CT spine. Sagittal slice 36/82. W/L 1800/400 HU. an area of the scan was removed and filled with constant pixels
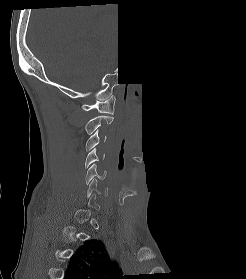 Boxes: x1 y1 x2 y2 (pixel coords, space-separated).
Each vertebra is boxed only on the slices from the first to the last where its cross-section reaches a third of its largest, so a slice outside that range leaves it unboxed.
Vertebra bounding boxes:
- C1: 81 95 115 114
- C2: 84 115 113 134
- C3: 85 130 106 151
- C4: 85 148 104 168
- C5: 85 164 106 184
- C6: 86 179 107 197